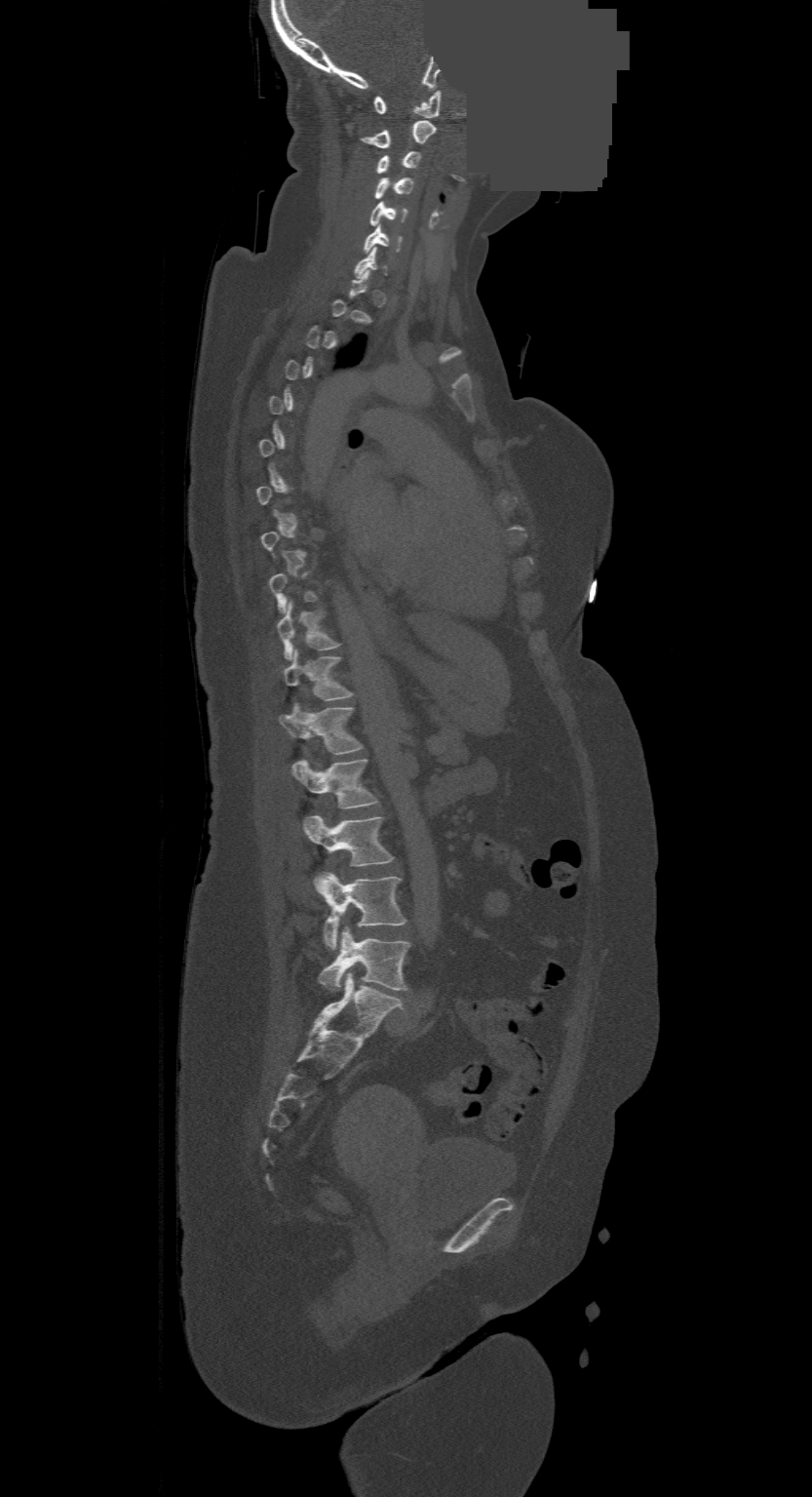 CT — sagittal reformat — W/L 1800/400 HU — a region of this slice is masked with a uniform fill
Boxes below are [x1, y1, x2, y2] in pixels.
A vertebra gets a box only on the slices from the first to the last where its cross-section is at least a third of its largest; on a slice outside that range it gets none.
This scan's labels start at C1 at the top and end at L4 at the bottom.
{"vertebrae":{"C1":[374,91,442,118],"C2":[360,121,436,147],"C3":[377,151,419,174],"C4":[376,177,413,199],"C5":[369,202,406,225],"C6":[364,224,402,252],"T10":[276,602,338,659],"T11":[283,650,351,700],"T12":[279,704,361,754],"L1":[290,760,378,808],"L2":[303,816,393,866],"L3":[316,872,406,949],"L4":[319,926,410,991]}}